CT spine — sagittal reformat — image 160 mm wide — bone-window reconstruction — 512x696 px — 10 vertebrae labeled in this scan
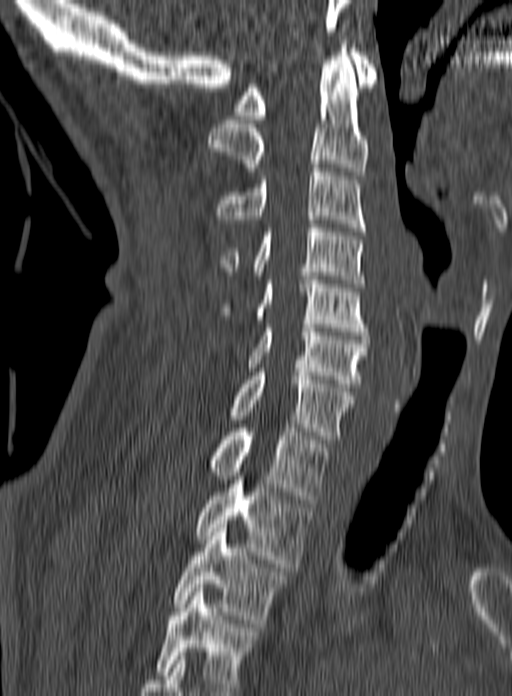
Each box given as x1,y1,x2,y2.
This scan's labels start at C1 at the top and end at T3 at the bottom.
C1: x1=234, y1=48, x2=377, y2=119
C2: x1=207, y1=44, x2=369, y2=175
C3: x1=214, y1=164, x2=365, y2=231
C4: x1=220, y1=224, x2=365, y2=287
C5: x1=219, y1=272, x2=368, y2=335
C6: x1=248, y1=324, x2=369, y2=387
C7: x1=231, y1=368, x2=353, y2=443
T1: x1=209, y1=428, x2=330, y2=503
T2: x1=193, y1=480, x2=311, y2=567
T3: x1=174, y1=524, x2=288, y2=627